CT, spine; sagittal plane, index 62; bone-window reconstruction
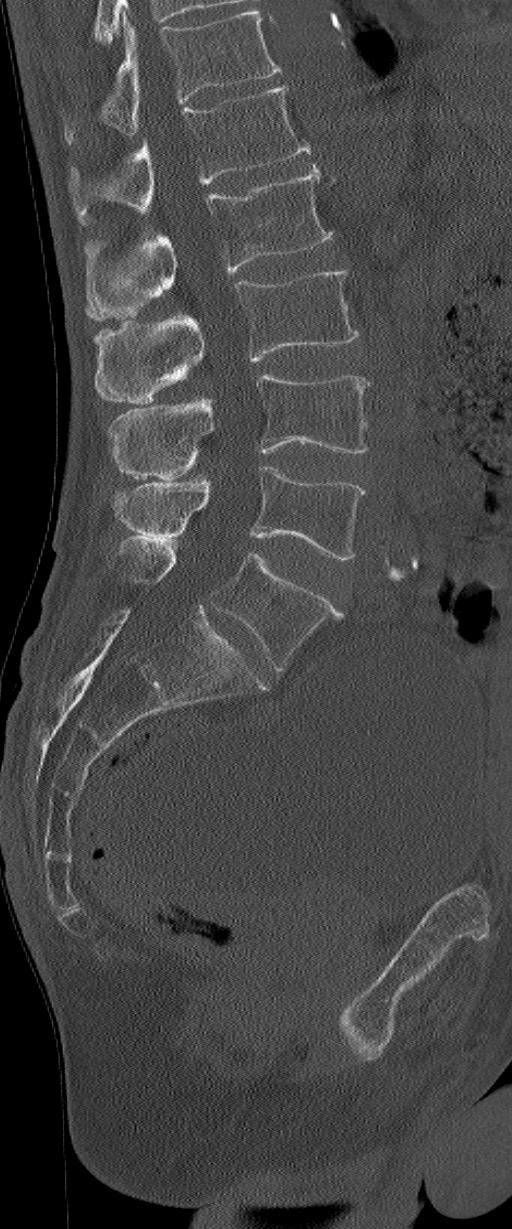 Each vertebra maps to its box as [x1, y1, x2, y2], the pixel coordinates of its top-left and bottom-right corners.
In this scan, the topmost labeled vertebra is L1 and the lowest is L6.
In these labels the spine has an L6, a sixth lumbar vertebra below L5.
{"vertebrae":{"L1":[69,87,310,223],"L2":[85,164,333,320],"L3":[95,271,360,402],"L4":[111,374,370,478],"L5":[111,466,365,559],"L6":[114,537,341,669]}}